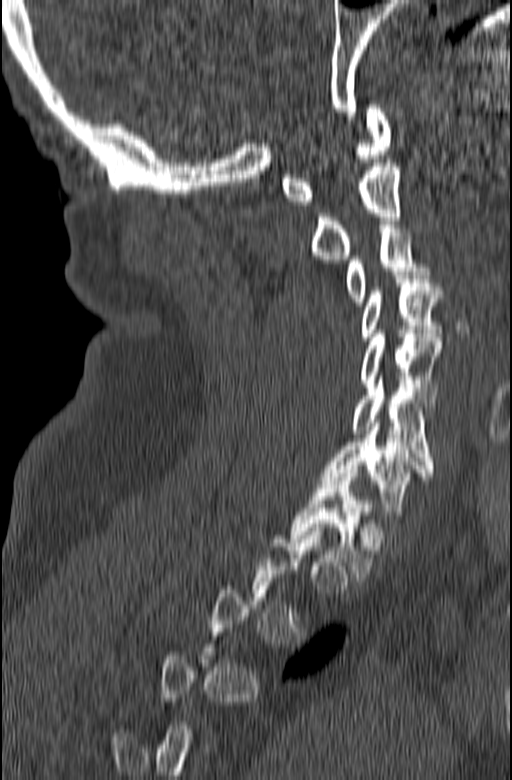 Spine CT — sagittal reformat — W/L 1800/400 HU — 165 mm image width
Box values are [left, top, right, bottom] in pixels.
A vertebra is boxed only from the first to the last slice where its cross-section is at least a third of its largest; slices outside that range leave it without a box.
{"vertebrae":{"T1":[290,469,372,577],"C7":[320,419,434,515],"C6":[352,376,434,468],"C5":[361,330,441,402],"C4":[361,275,441,340],"C3":[345,225,428,305],"C2":[311,159,401,259],"C1":[281,105,391,205]}}